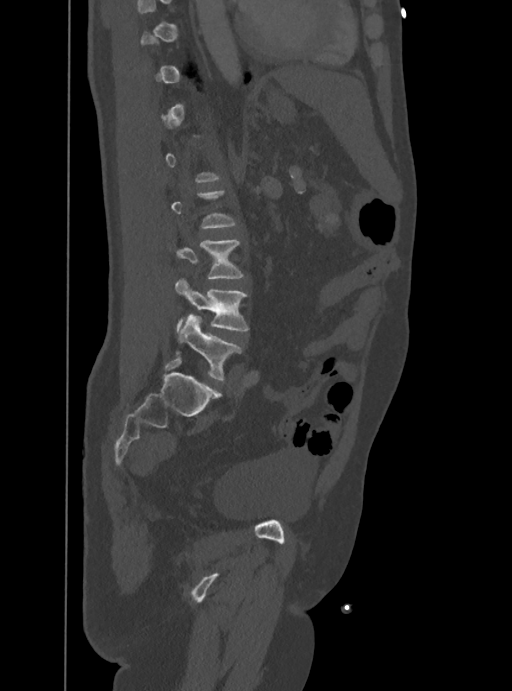
CT spine — sagittal view — 512x691 px
Bounding boxes as [x1, y1, x2, y2] in pixel coordinates.
A vertebra is boxed only from the first to the last slice where its cross-section is at least a third of its largest; slices outside that range leave it without a box.
L3: [178, 240, 243, 278]
L4: [175, 279, 248, 330]
L5: [178, 314, 240, 380]